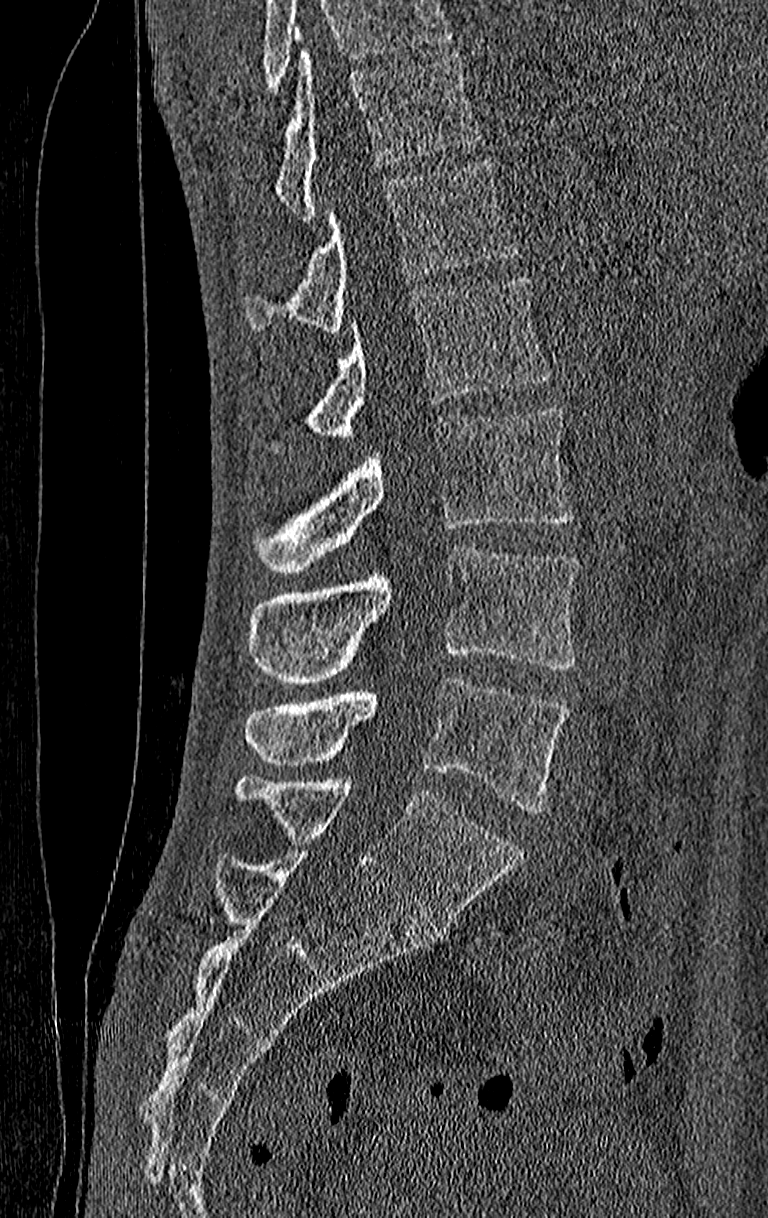 CT spine — 210 mm across the image — sagittal view — 768x1218 px

Box edges are left/top/right/bottom in pixels.
Vertebrae that run past the top of the scan are left unlabeled.
The highest labeled vertebra in this scan is T11; the lowest is L4.
Vertebra bounding boxes:
- T11: left=273, top=48, right=480, bottom=220
- T12: left=244, top=158, right=521, bottom=333
- L1: left=269, top=278, right=550, bottom=453
- L2: left=251, top=406, right=572, bottom=573
- L3: left=247, top=546, right=579, bottom=684
- L4: left=244, top=678, right=568, bottom=812